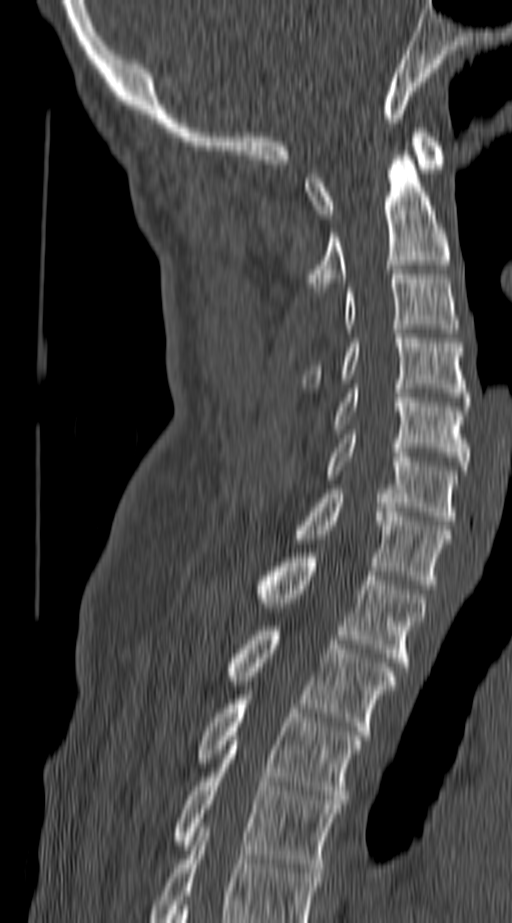
Spine CT; sagittal view; 140 mm image width

Each box is [x1, y1, x2, y2] in pixels: top-left corner, then bottom-right corner.
In this scan, the topmost labeled vertebra is C1 and the lowest is T4.
{"vertebrae":{"C1":[305,128,447,218],"C2":[305,146,450,292],"C3":[345,274,457,333],"C4":[305,334,468,401],"C5":[334,389,468,470],"C6":[323,434,457,520],"C7":[294,489,450,589],"T1":[254,553,425,671],"T2":[224,626,395,735],"T3":[195,695,362,804],"T4":[173,741,340,872]}}